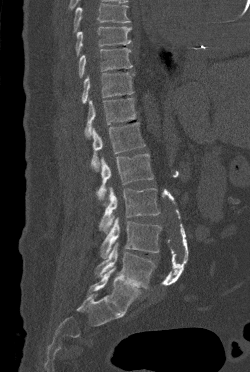 CT spine · sagittal view · bone window

Boxes are given in columns x1, y1, x2, y2, the pixel coordinates of their top-left and bottom-right corners.
No box is given to a vertebra that the top edge of the scan cuts off.
| vertebra | x1 | y1 | x2 | y2 |
|---|---|---|---|---|
| T9 | 75 | 26 | 131 | 55 |
| T10 | 78 | 48 | 132 | 77 |
| T11 | 82 | 72 | 134 | 103 |
| T12 | 84 | 98 | 136 | 137 |
| L1 | 91 | 122 | 145 | 171 |
| L2 | 96 | 153 | 153 | 204 |
| L3 | 99 | 187 | 159 | 233 |
| L4 | 100 | 217 | 161 | 258 |
| L5 | 95 | 242 | 155 | 288 |